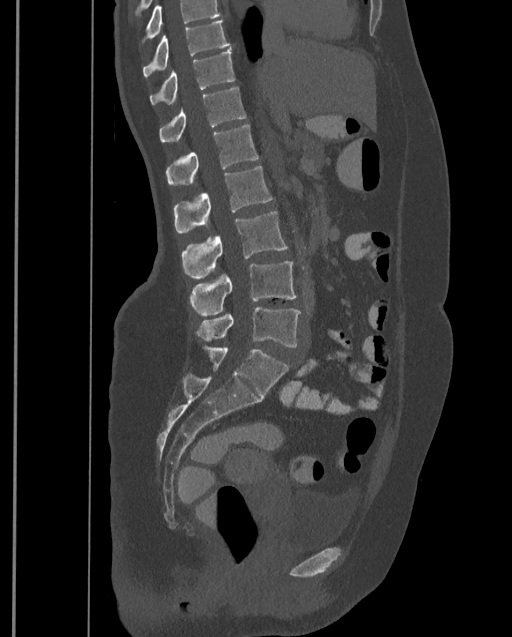

CT — sagittal reformat — Bone window (WL 400, WW 1800)
Boxes below are [x1, y1, x2, y2] in pixels.
Vertebrae that run past the top of the scan are left unlabeled.
Labels in this scan begin with T9 at the top and end with L4 at the bottom.
{"vertebrae":{"T9":[142,20,230,78],"T10":[150,49,235,104],"T11":[159,87,245,141],"T12":[165,125,258,185],"L1":[173,165,272,232],"L2":[182,211,288,277],"L3":[190,262,297,315],"L4":[197,306,300,347]}}